CT, spine · sagittal reformat · 512x929 px
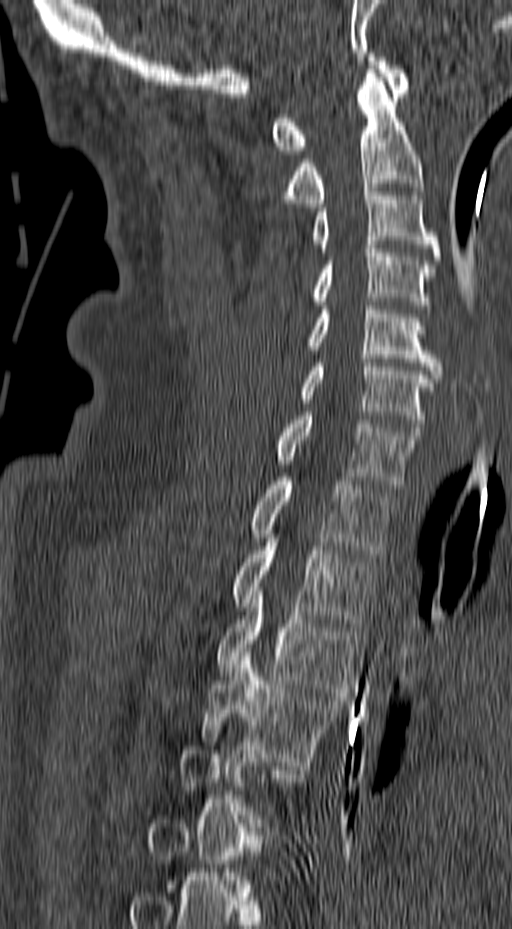
Boxes below are [x1, y1, x2, y2] in pixels.
Each vertebra is boxed only on the slices from the first to the last where its cross-section reaches a third of its largest, so a slice outside that range leaves it unboxed.
{"vertebrae":{"C1":[272,53,409,154],"C2":[282,65,424,207],"C3":[311,188,440,260],"C4":[311,245,435,317],"C5":[308,306,444,378],"C6":[298,359,434,431],"C7":[275,412,421,488],"T1":[249,477,395,557],"T2":[233,534,375,627],"T3":[216,591,359,696],"T4":[200,652,343,765]}}